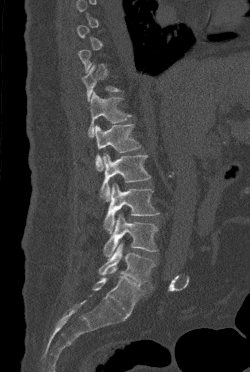
CT spine · sagittal view
In the table, x1 and y1 are a box's top-left corner and x2 and y2 its bottom-right corner, in pixels.
A vertebra gets a box only on the slices from the first to the last where its cross-section is at least a third of its largest; on a slice outside that range it gets none.
| vertebra | x1 | y1 | x2 | y2 |
|---|---|---|---|---|
| T12 | 88 | 92 | 131 | 137 |
| L1 | 95 | 124 | 141 | 171 |
| L2 | 100 | 153 | 150 | 201 |
| L3 | 104 | 183 | 159 | 233 |
| L4 | 103 | 214 | 157 | 257 |
| L5 | 99 | 243 | 155 | 285 |